CT, spine. Sagittal slice 337/512. bone window
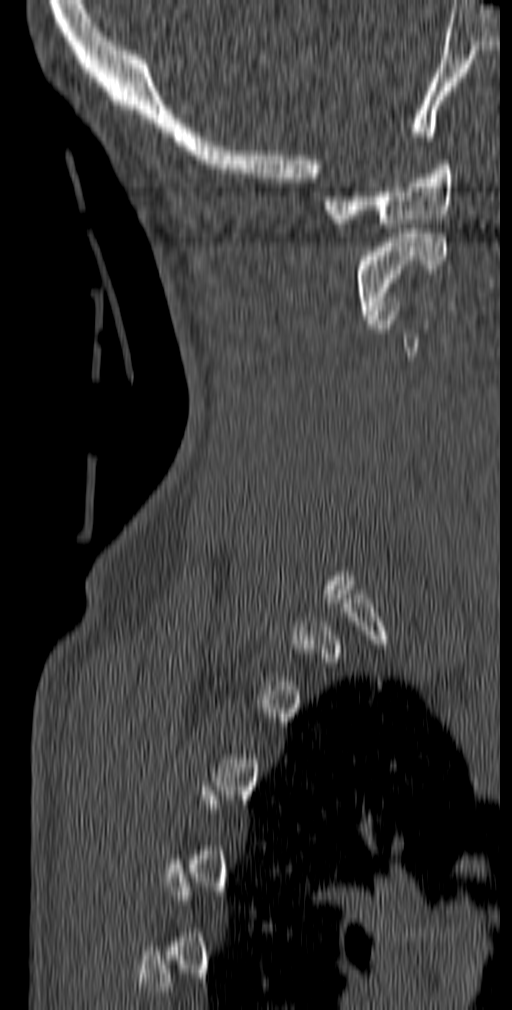
Boxes: x1 y1 x2 y2 (pixel coords, space-separated).
Each vertebra is boxed only on the slices from the first to the last where its cross-section reaches a third of its largest, so a slice outside that range leaves it unboxed.
C1: 323 160 454 228
C2: 356 229 446 319